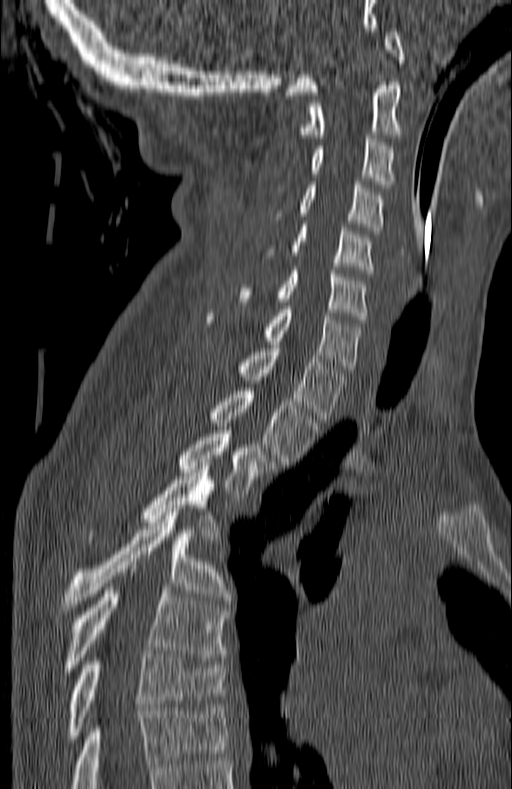 Spine CT; image width 180 mm; sagittal view
This scan's labels start at C1 at the top and end at T7 at the bottom.
<vertebrae><v name="T7" x1="66" y1="651" x2="225" y2="742"/><v name="T6" x1="61" y1="587" x2="225" y2="671"/><v name="T5" x1="61" y1="512" x2="230" y2="611"/><v name="T4" x1="143" y1="466" x2="219" y2="539"/><v name="T3" x1="177" y1="434" x2="273" y2="497"/><v name="T2" x1="211" y1="388" x2="316" y2="465"/><v name="T1" x1="240" y1="348" x2="346" y2="419"/><v name="C7" x1="209" y1="309" x2="361" y2="372"/><v name="C6" x1="240" y1="270" x2="367" y2="319"/><v name="C5" x1="291" y1="224" x2="373" y2="273"/><v name="C4" x1="300" y1="181" x2="384" y2="234"/><v name="C3" x1="311" y1="135" x2="392" y2="184"/><v name="C2" x1="300" y1="82" x2="401" y2="141"/><v name="C1" x1="286" y1="28" x2="404" y2="95"/></vertebrae>